CT, spine. sagittal plane, index 244. W/L 1800/400 HU. 512x513 px. 14 vertebrae labeled in this scan. image 398 mm wide
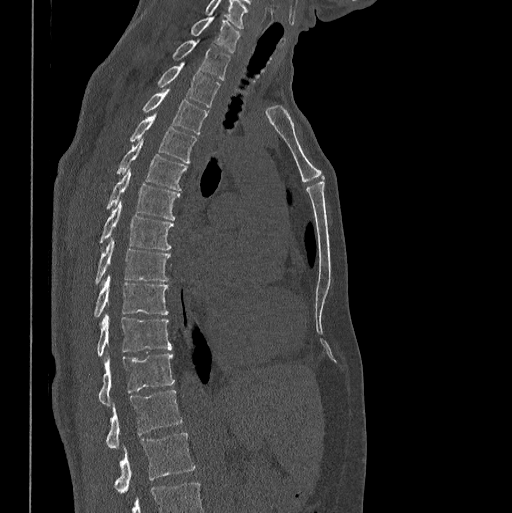 Box edges are left/top/right/bottom in pixels. In this scan, the topmost labeled vertebra is C7 and the lowest is L1. 14 vertebrae labeled — L1 at left=114, top=432, right=194, bottom=493; T12 at left=105, top=389, right=182, bottom=449; T11 at left=99, top=353, right=174, bottom=404; T10 at left=98, top=315, right=171, bottom=354; T9 at left=95, top=274, right=167, bottom=316; T8 at left=95, top=237, right=169, bottom=283; T7 at left=100, top=201, right=173, bottom=249; T6 at left=107, top=168, right=179, bottom=220; T5 at left=117, top=139, right=185, bottom=190; T4 at left=130, top=112, right=196, bottom=163; T3 at left=143, top=88, right=207, bottom=133; T2 at left=158, top=63, right=219, bottom=107; T1 at left=174, top=41, right=229, bottom=80; C7 at left=192, top=16, right=239, bottom=52.